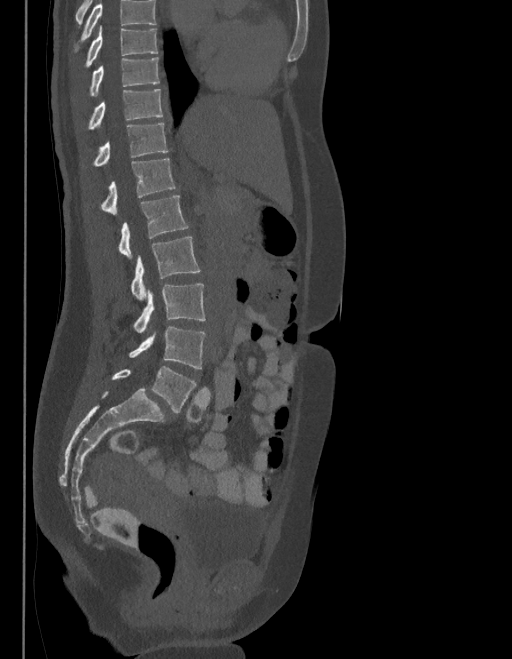

CT. sagittal view. image width 403 mm
No box is given to a vertebra that the top edge of the scan cuts off.
In these labels the spine has an L6, a sixth lumbar vertebra below L5.
<vertebrae><v name="T9" x1="85" y1="27" x2="158" y2="66"/><v name="T10" x1="89" y1="58" x2="159" y2="95"/><v name="T11" x1="88" y1="89" x2="163" y2="129"/><v name="T12" x1="93" y1="122" x2="168" y2="166"/><v name="L1" x1="100" y1="158" x2="174" y2="214"/><v name="L2" x1="118" y1="196" x2="187" y2="257"/><v name="L3" x1="131" y1="236" x2="200" y2="300"/><v name="L4" x1="133" y1="282" x2="205" y2="333"/><v name="L5" x1="129" y1="326" x2="205" y2="369"/><v name="L6" x1="112" y1="367" x2="196" y2="413"/></vertebrae>